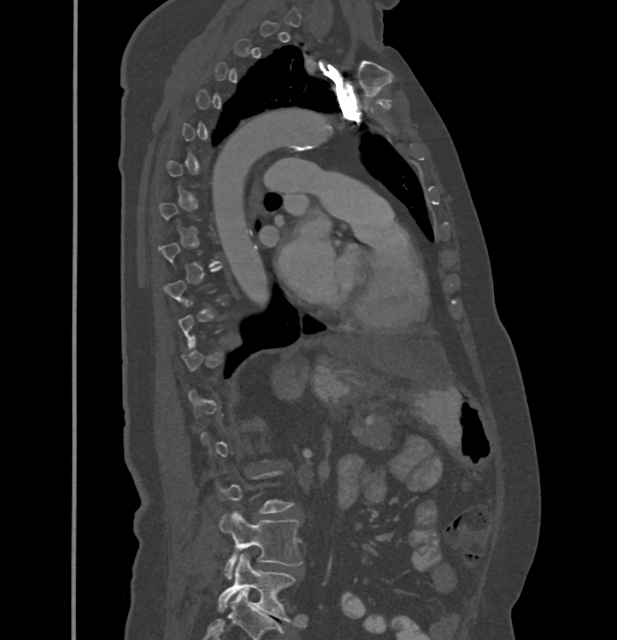 CT spine — sagittal view — the image spans 432 mm across — 617x640 px
Each vertebra is boxed only on the slices from the first to the last where its cross-section reaches a third of its largest, so a slice outside that range leaves it unboxed.
<vertebrae><v name="L4" x1="219" y1="510" x2="302" y2="578"/><v name="L5" x1="218" y1="555" x2="296" y2="622"/></vertebrae>